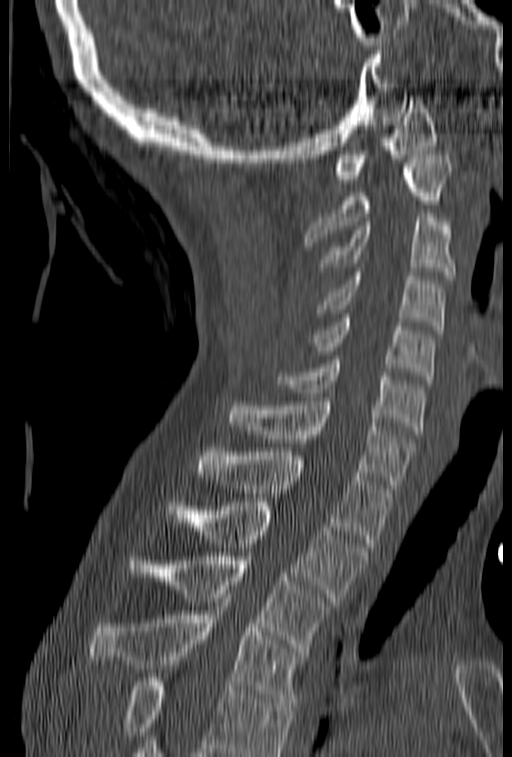

CT, spine. sagittal reformat. bone window
Vertebrae that run past the bottom of the scan are left unlabeled.
<vertebrae><v name="C1" x1="334" y1="96" x2="437" y2="183"/><v name="C2" x1="304" y1="155" x2="452" y2="246"/><v name="C3" x1="318" y1="213" x2="455" y2="279"/><v name="C4" x1="316" y1="272" x2="445" y2="334"/><v name="C5" x1="308" y1="314" x2="435" y2="380"/><v name="C6" x1="277" y1="360" x2="425" y2="434"/><v name="C7" x1="225" y1="397" x2="415" y2="488"/><v name="T1" x1="198" y1="448" x2="392" y2="547"/><v name="T2" x1="166" y1="498" x2="368" y2="601"/><v name="T3" x1="128" y1="552" x2="335" y2="652"/><v name="T4" x1="88" y1="598" x2="308" y2="706"/></vertebrae>